CT spine; sagittal plane, index 293; bone window
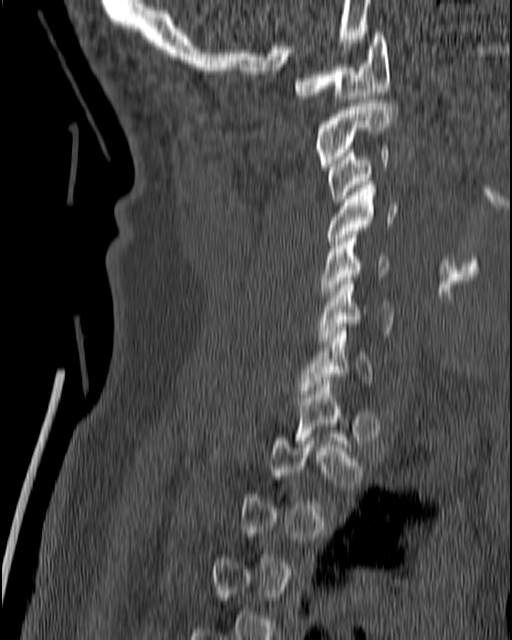 A vertebra is boxed only from the first to the last slice where its cross-section is at least a third of its largest; slices outside that range leave it without a box.
<vertebrae><v name="C1" x1="294" y1="32" x2="390" y2="99"/><v name="C2" x1="314" y1="100" x2="397" y2="166"/><v name="C3" x1="325" y1="146" x2="389" y2="202"/><v name="C4" x1="325" y1="181" x2="398" y2="248"/><v name="C5" x1="319" y1="235" x2="387" y2="301"/><v name="C6" x1="316" y1="277" x2="395" y2="340"/><v name="C7" x1="297" y1="327" x2="373" y2="397"/></vertebrae>